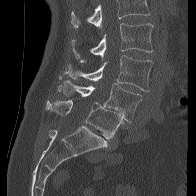

Spine CT; sagittal view
Coordinates as <box>x1,y1,x2,y2</box>.
No box is given to a vertebra that the top edge of the scan cuts off.
Vertebra bounding boxes:
- L2: <box>71,23,153,58</box>
- L3: <box>59,55,152,91</box>
- L4: <box>57,80,142,122</box>
- L5: <box>46,100,123,139</box>